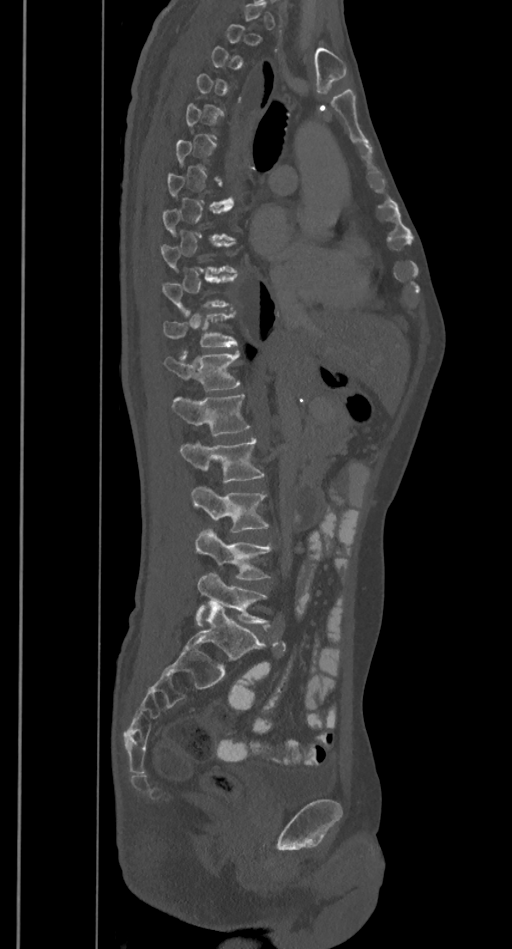

Spine computed tomography; sagittal reformat; Bone window (WL 400, WW 1800); 512x949 px. Bounding boxes as [x1, y1, x2, y2] in pixel coordinates.
Each vertebra is boxed only on the slices from the first to the last where its cross-section reaches a third of its largest, so a slice outside that range leaves it unboxed.
T11: [163, 314, 237, 347]
T12: [165, 351, 240, 390]
L1: [171, 395, 250, 436]
L2: [179, 438, 265, 483]
L3: [191, 486, 269, 532]
L4: [195, 529, 271, 579]
L5: [195, 573, 269, 624]